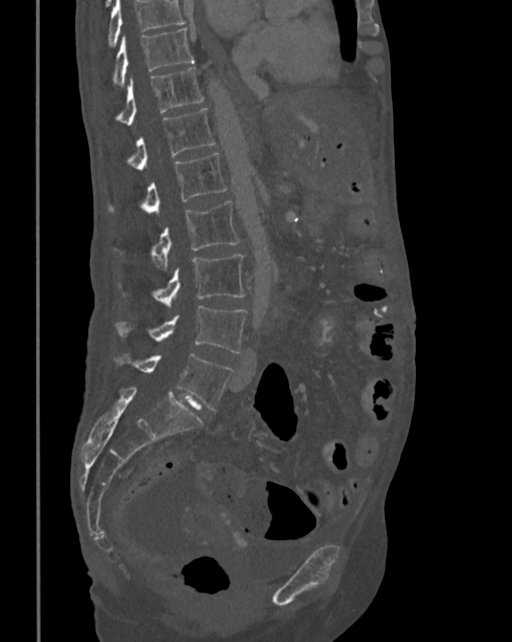 Spine CT. sagittal reformat
Each box given as x1,y1,x2,y2.
A vertebra cut off by the top edge of the scan is not labeled and has no box.
Vertebra bounding boxes:
- T10: x1=114, y1=27, x2=193, y2=86
- T11: x1=117, y1=68, x2=204, y2=126
- T12: x1=128, y1=108, x2=214, y2=170
- L1: x1=142, y1=153, x2=226, y2=215
- L2: x1=151, y1=201, x2=240, y2=270
- L3: x1=154, y1=254, x2=244, y2=308
- L4: x1=118, y1=306, x2=247, y2=353
- L5: x1=117, y1=354, x2=232, y2=410